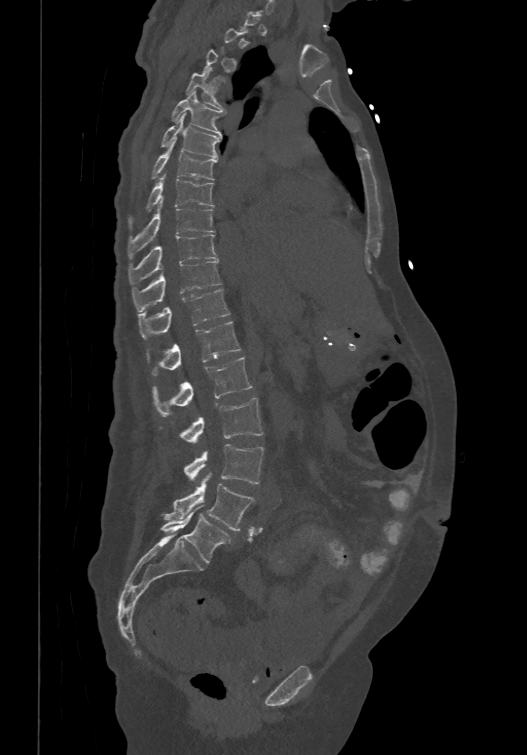

CT; sagittal view; W/L 1800/400 HU; 527x755 px
Each box given as x1,y1,x2,y2.
Each vertebra is boxed only on the slices from the first to the last where its cross-section reaches a third of its largest, so a slice outside that range leaves it unboxed.
These labels give the spine a sixth lumbar vertebra, L6, below L5.
Vertebra bounding boxes:
- T4: x1=186, y1=67, x2=223, y2=110
- T5: x1=172, y1=90, x2=221, y2=135
- T6: x1=161, y1=113, x2=221, y2=156
- T7: x1=151, y1=140, x2=217, y2=179
- T8: x1=128, y1=172, x2=213, y2=226
- T9: x1=128, y1=197, x2=215, y2=257
- T10: x1=129, y1=233, x2=218, y2=284
- T11: x1=132, y1=260, x2=221, y2=311
- T12: x1=138, y1=288, x2=230, y2=337
- L1: x1=147, y1=321, x2=240, y2=375
- L2: x1=152, y1=356, x2=252, y2=416
- L3: x1=179, y1=397, x2=262, y2=442
- L4: x1=184, y1=444, x2=263, y2=483
- L5: x1=165, y1=475, x2=254, y2=531
- L6: x1=159, y1=505, x2=231, y2=563